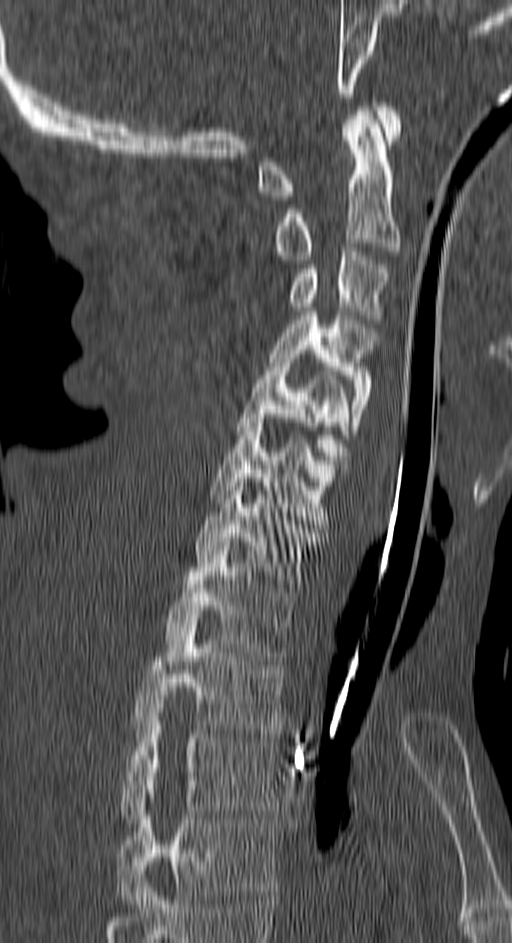

CT, spine. sagittal view. Bone window (WL 400, WW 1800)
Boxes are (x1, y1, x2, y2) in pixels.
The highest labeled vertebra in this scan is C1; the lowest is T4.
C1: (257, 102, 400, 200)
C2: (274, 111, 400, 259)
C3: (288, 247, 389, 319)
C4: (270, 311, 379, 434)
C5: (235, 358, 349, 468)
C6: (209, 418, 345, 524)
C7: (196, 474, 321, 588)
T1: (165, 546, 296, 660)
T2: (134, 619, 283, 733)
T3: (121, 717, 277, 822)
T4: (117, 794, 277, 904)